CT, spine — image 367 mm wide — sagittal plane, index 241 — scan covers 9 annotated vertebrae
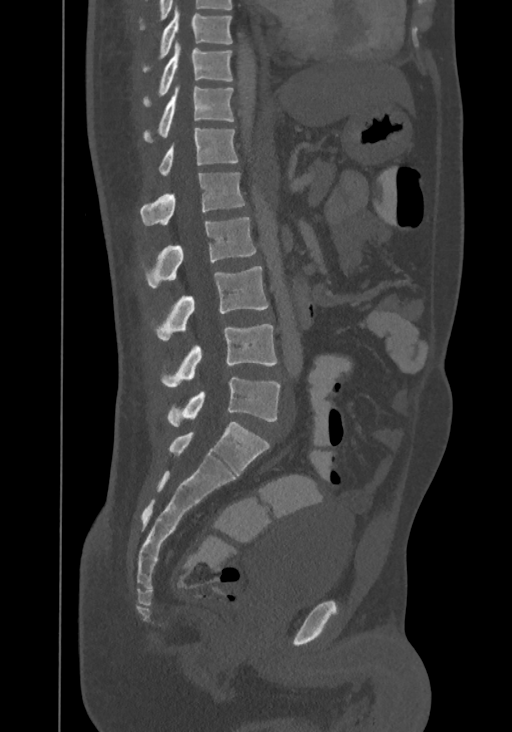
Each vertebra maps to its box as [x1, y1, x2, y2], the pixel coordinates of its top-left and bottom-right corners.
The highest labeled vertebra in this scan is T8; the lowest is L4.
{"vertebrae":{"L4":[167,377,281,427],"L3":[160,324,276,387],"L2":[150,266,268,339],"L1":[142,217,255,288],"T12":[139,172,244,225],"T11":[159,128,237,176],"T10":[143,83,233,141],"T9":[143,41,232,104],"T8":[143,8,232,69]}}